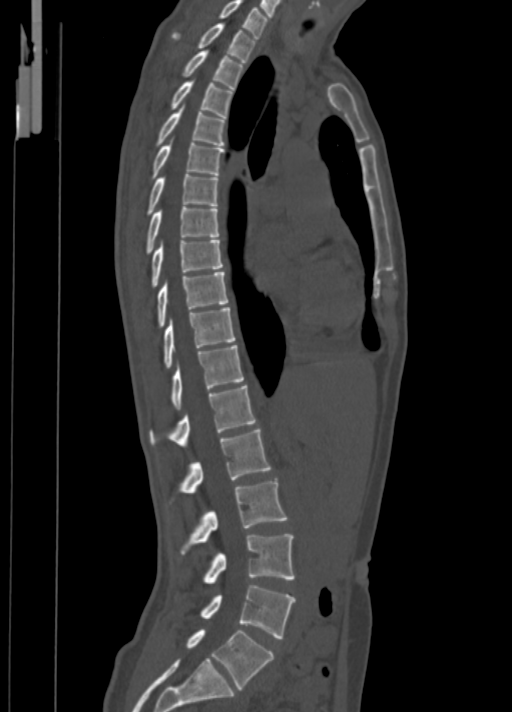 Spine CT. sagittal reformat. Bone window (WL 400, WW 1800). 512x712 px
In the table, x1 and y1 are a box's top-left corner and x2 and y2 its bottom-right corner, in pixels.
| vertebra | x1 | y1 | x2 | y2 |
|---|---|---|---|---|
| C7 | 218 | 0 | 268 | 37 |
| T1 | 171 | 23 | 256 | 62 |
| T2 | 181 | 51 | 245 | 90 |
| T3 | 169 | 82 | 233 | 117 |
| T4 | 155 | 107 | 226 | 145 |
| T5 | 150 | 143 | 224 | 179 |
| T6 | 146 | 174 | 218 | 216 |
| T7 | 145 | 206 | 218 | 254 |
| T8 | 150 | 240 | 223 | 287 |
| T9 | 156 | 272 | 228 | 328 |
| T10 | 164 | 307 | 236 | 368 |
| T11 | 171 | 345 | 243 | 409 |
| T12 | 149 | 385 | 255 | 445 |
| L1 | 169 | 429 | 271 | 502 |
| L2 | 180 | 481 | 287 | 553 |
| L3 | 202 | 534 | 294 | 584 |
| L4 | 200 | 585 | 294 | 638 |
| L5 | 186 | 629 | 274 | 689 |